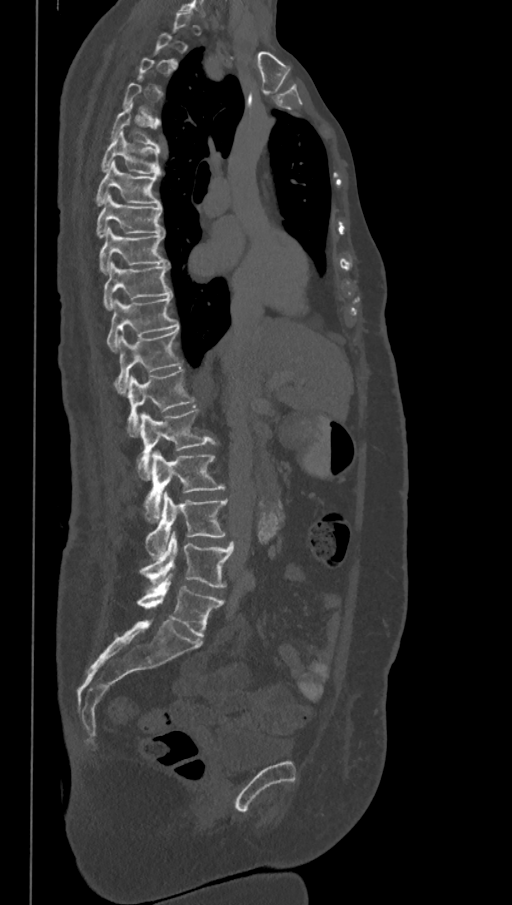

CT, spine — sagittal view — 368 mm across the image
Boxes: x1:y1:x2:y2 in pixels. Each vertebra is boxed only on the slices from the first to the last where its cross-section reaches a third of its largest, so a slice outside that range leaves it unboxed. In these labels the spine has an L6, a sixth lumbar vertebra below L5. The labeled vertebrae in this slice are: T5 at 110:103:162:147, T6 at 100:130:162:176, T7 at 94:162:160:206, T8 at 96:194:164:238, T9 at 99:228:169:273, T10 at 103:262:171:310, T11 at 106:296:178:352, T12 at 114:328:181:393, L1 at 126:368:195:436, L2 at 138:408:217:479, L3 at 144:451:226:522, L4 at 144:492:228:557, L5 at 139:532:235:588, L6 at 136:575:224:638.